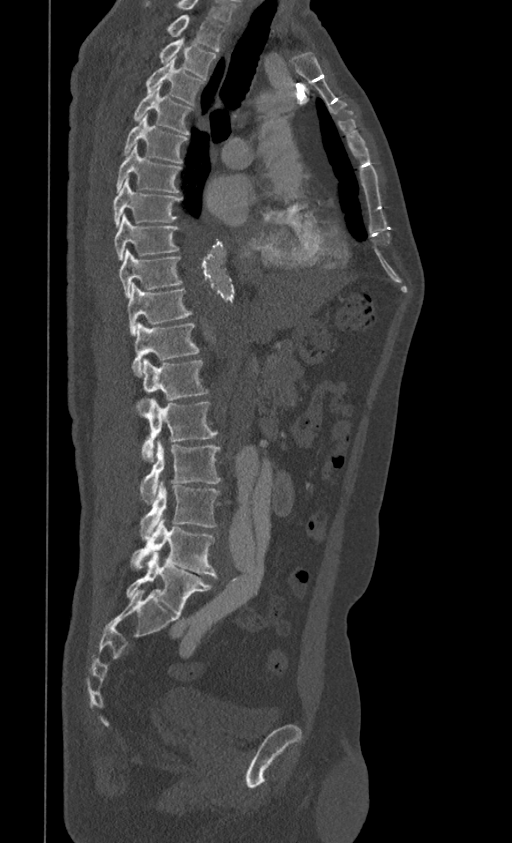
CT; sagittal view; W/L 1800/400 HU; 399 mm across the image

Coordinates as <box>x1,y1,x2,y2</box>. Labels in this scan begin with T1 at the top and end with L5 at the bottom. The labeled vertebrae in this slice are: T1 at <box>168,15,226,50</box>, T2 at <box>160,37,216,78</box>, T3 at <box>146,59,204,104</box>, T4 at <box>133,85,191,134</box>, T5 at <box>124,115,187,163</box>, T6 at <box>117,143,181,193</box>, T7 at <box>113,178,181,227</box>, T8 at <box>114,215,179,260</box>, T9 at <box>119,249,182,297</box>, T10 at <box>127,284,191,335</box>, T11 at <box>132,322,199,377</box>, T12 at <box>137,359,208,410</box>, L1 at <box>141,400,217,461</box>, L2 at <box>140,440,221,504</box>, L3 at <box>140,480,220,539</box>, L4 at <box>131,517,217,578</box>, L5 at <box>126,552,212,613</box>.